CT, spine — sagittal plane, index 92 — 512x1190 px — scan covers 25 annotated vertebrae — a region of this slice is masked with a uniform fill
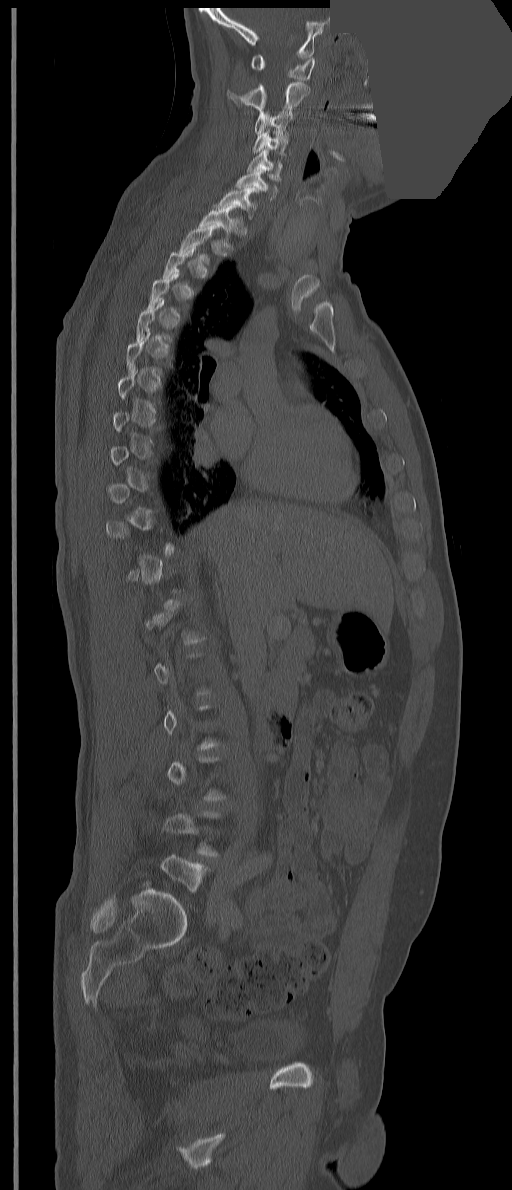

Box values are [left, top, right, bottom] in pixels.
A vertebra gets a box only on the slices from the first to the last where its cross-section is at least a third of its largest; on a slice outside that range it gets none.
{"vertebrae":{"C1":[251,54,314,80],"C2":[227,82,309,110],"C3":[254,111,292,134],"C4":[253,129,288,155],"C5":[246,149,282,180],"C6":[236,169,277,199],"C7":[218,187,258,219],"T1":[197,206,242,231]}}